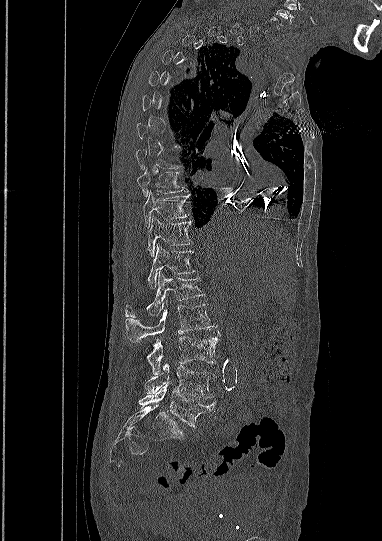

CT, spine — sagittal view — W/L 1800/400 HU
Box values are [left, top, right, bottom] in pixels.
A vertebra is boxed only from the first to the last slice where its cross-section is at least a third of its largest; slices outside that range leave it without a box.
{"vertebrae":{"T9":[136,169,187,196],"T10":[143,191,188,226],"T11":[148,216,191,255],"T12":[147,245,194,288],"L1":[125,272,203,317],"L2":[125,304,213,342],"L3":[147,336,217,375],"L4":[145,363,214,398],"L5":[138,383,213,427]}}